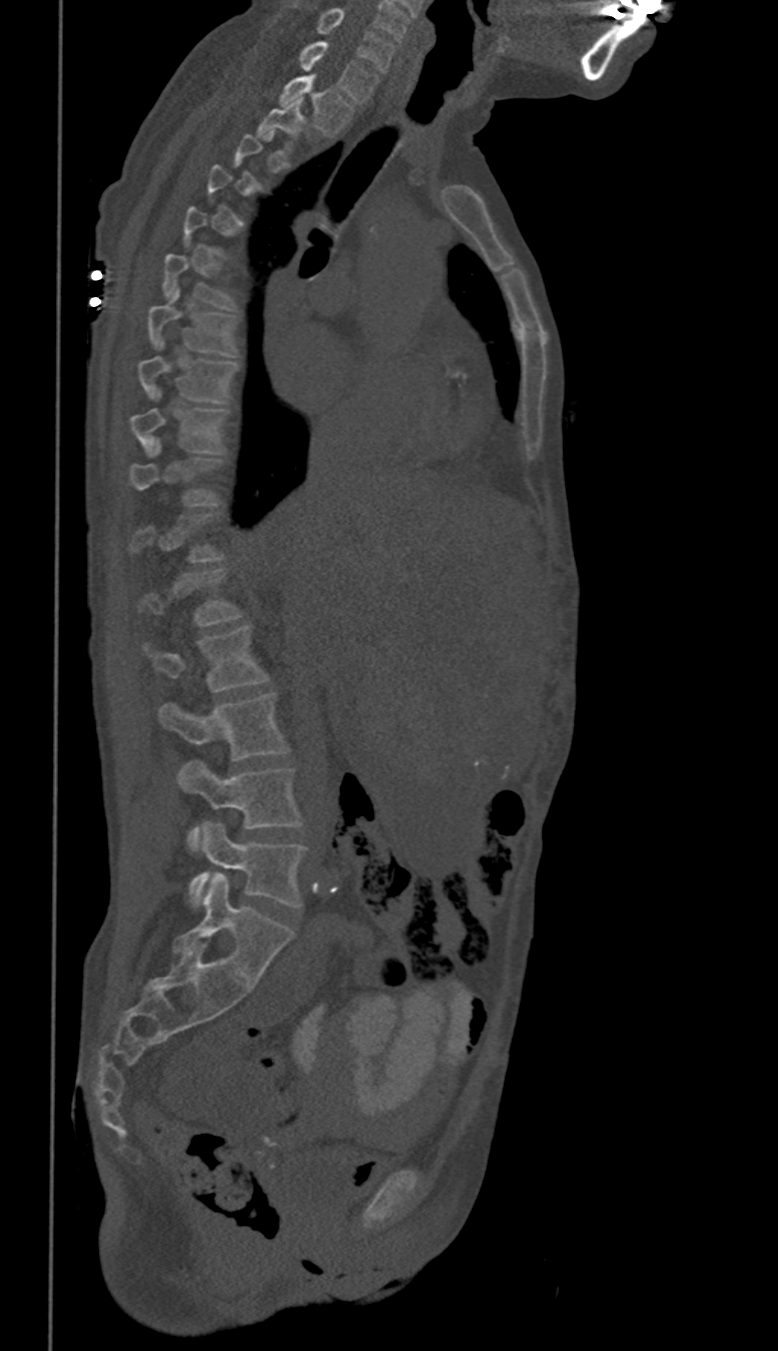
Spine computed tomography. sagittal view. bone window. 778x1351 px
Coordinates as <box>x1,y1,x2,y2</box>.
A vertebra is boxed only from the first to the last slice where its cross-section is at least a third of its largest; slices outside that range leave it without a box.
Vertebra bounding boxes:
- C6: <box>295,3,394,71</box>
- C7: <box>298,40,379,102</box>
- T1: <box>280,74,354,135</box>
- T2: <box>257,100,306,151</box>
- T6: <box>163,254,236,308</box>
- T7: <box>149,287,236,355</box>
- T8: <box>137,340,239,404</box>
- T9: <box>131,389,230,455</box>
- T10: <box>131,440,224,506</box>
- L1: <box>140,569,241,626</box>
- L2: <box>144,625,268,693</box>
- L3: <box>160,692,289,759</box>
- L4: <box>178,760,303,851</box>
- L5: <box>188,823,307,908</box>